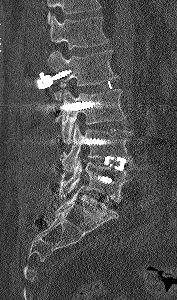

Computed tomography of the spine; sagittal view; image width 177 mm; 177x300 px. Bounding boxes as [x1, y1, x2, y2] in pixel coordinates.
Where the top of the scan cuts through a vertebra, that vertebra gets no label or box.
Vertebra bounding boxes:
- L1: [49, 16, 108, 49]
- L2: [47, 50, 117, 90]
- L3: [55, 88, 126, 143]
- L4: [62, 123, 131, 172]
- L5: [58, 158, 134, 202]